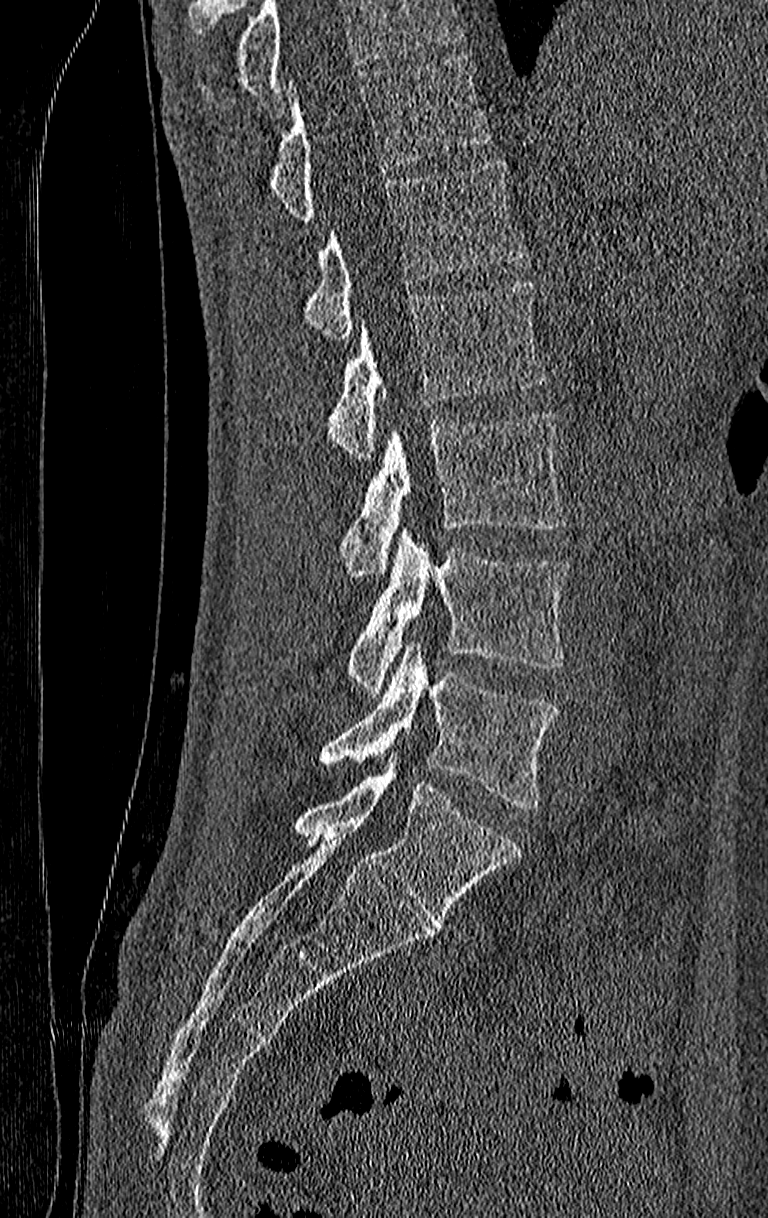
CT, spine. sagittal view. 210 mm wide
Boxes: x1 y1 x2 y2 (pixel coords, space-separated). No box is given to a vertebra that the top edge of the scan cuts off. This scan's labels start at T11 at the top and end at L4 at the bottom. Vertebrae labeled: L4 at 320 640 557 809, L3 at 346 528 568 695, L2 at 339 415 565 578, L1 at 328 283 546 461, T12 at 306 161 524 340, T11 at 269 56 491 220.